CT spine; Sagittal slice 274/512; scan covers 9 annotated vertebrae
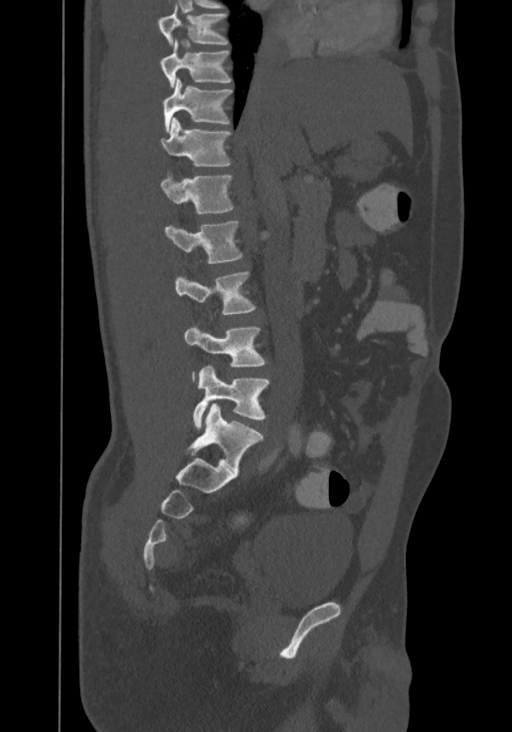 This scan's labels start at T8 at the top and end at L4 at the bottom.
<vertebrae><v name="T8" x1="159" y1="6" x2="229" y2="45"/><v name="T9" x1="160" y1="39" x2="232" y2="87"/><v name="T10" x1="163" y1="78" x2="233" y2="132"/><v name="T11" x1="162" y1="118" x2="232" y2="166"/><v name="T12" x1="160" y1="170" x2="235" y2="214"/><v name="L1" x1="164" y1="220" x2="243" y2="264"/><v name="L2" x1="174" y1="271" x2="255" y2="314"/><v name="L3" x1="184" y1="325" x2="267" y2="381"/><v name="L4" x1="193" y1="365" x2="269" y2="430"/></vertebrae>